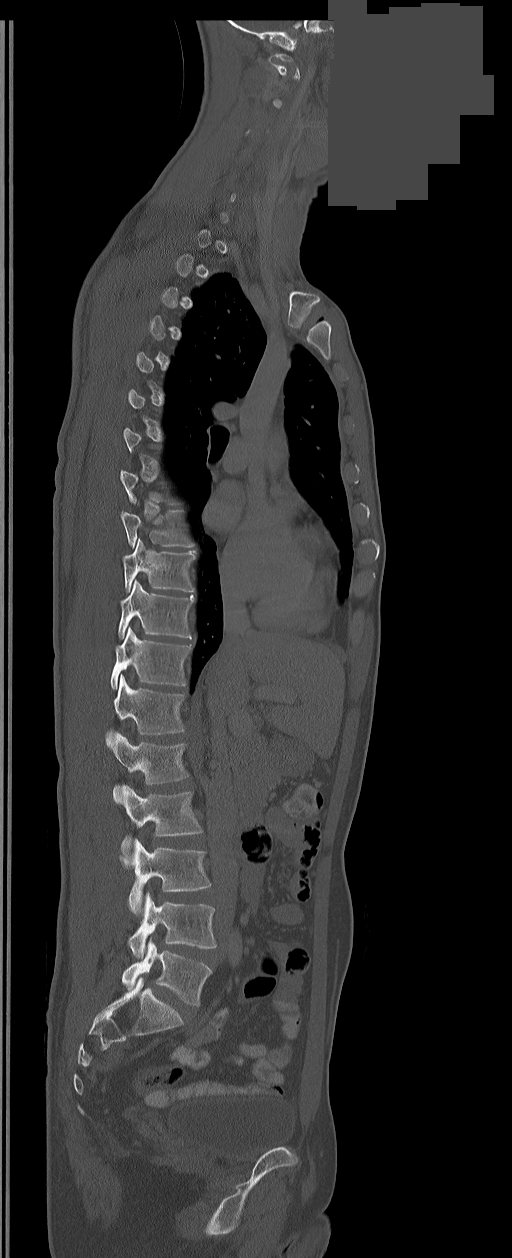

CT; sagittal view; bone window; 512x1258 px; the image spans 350 mm across; an area of the scan was removed and filled with constant pixels

Boxes are (x1, y1, x2, y2) in pixels.
A vertebra is boxed only from the first to the last slice where its cross-section is at least a third of its largest; slices outside that range leave it without a box.
These labels give the spine a sixth lumbar vertebra, L6, below L5.
C1: (268, 54, 299, 79)
T9: (120, 510, 194, 546)
T10: (123, 539, 195, 592)
T11: (119, 581, 194, 638)
T12: (110, 628, 191, 688)
L1: (106, 675, 184, 744)
L2: (110, 733, 188, 801)
L3: (122, 786, 203, 854)
L4: (122, 840, 210, 915)
L5: (129, 893, 216, 957)
L6: (122, 941, 211, 1006)